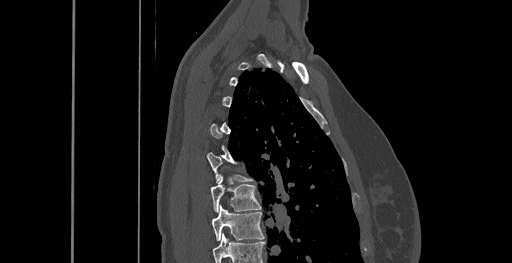

CT. sagittal view. bone window
Not every vertebra on this slice has a box: a vertebra is boxed only from the first to the last slice where its cross-section is at least a third of its largest, and this slice is outside that range for at least one of them.
In this scan, the topmost labeled vertebra is C6 and the lowest is T8.
<vertebrae><v name="T7" x1="211" y1="177" x2="261" y2="211"/><v name="T8" x1="212" y1="205" x2="264" y2="240"/></vertebrae>